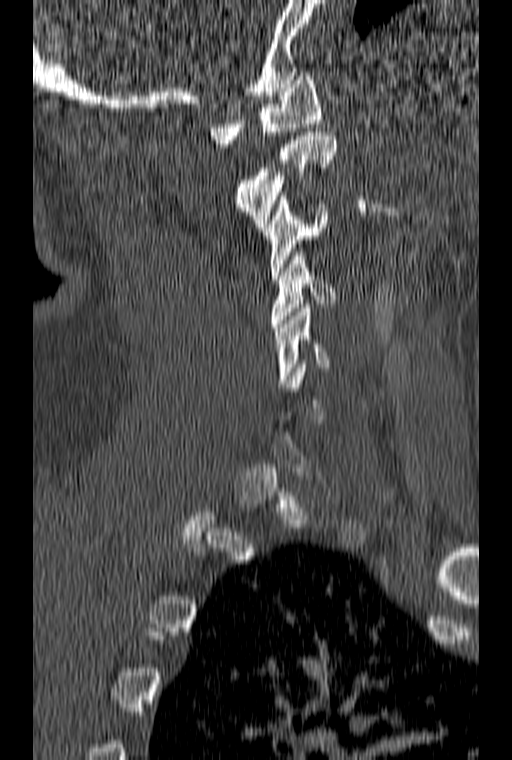

CT spine; sagittal view
Each box given as x1,y1,x2,y2.
Not every vertebra on this slice has a box: a vertebra is boxed only from the first to the last slice where its cross-section is at least a third of its largest, and this slice is outside that range for at least one of them.
Vertebra bounding boxes:
- C1: x1=210, y1=72, x2=321, y2=147
- C2: x1=234, y1=132, x2=336, y2=231
- C3: x1=263, y1=196, x2=327, y2=279
- C4: x1=270, y1=252, x2=336, y2=327
- C5: x1=274, y1=304, x2=329, y2=387